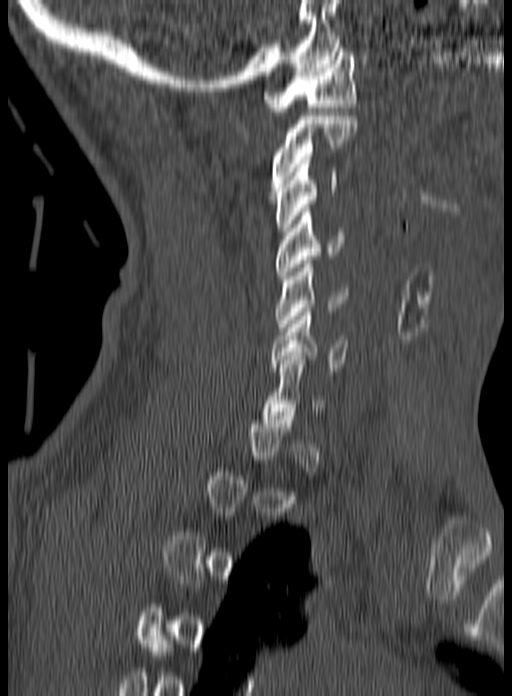
Spine computed tomography · sagittal view. Boxes are (x1, y1, x2, y2) in pixels.
A vertebra gets a box only on the slices from the first to the last where its cross-section is at least a third of its largest; on a slice outside that range it gets none.
C1: (263, 48, 356, 111)
C2: (270, 112, 357, 195)
C3: (275, 160, 336, 231)
C4: (276, 208, 343, 279)
C5: (275, 260, 347, 331)
C6: (270, 308, 349, 375)